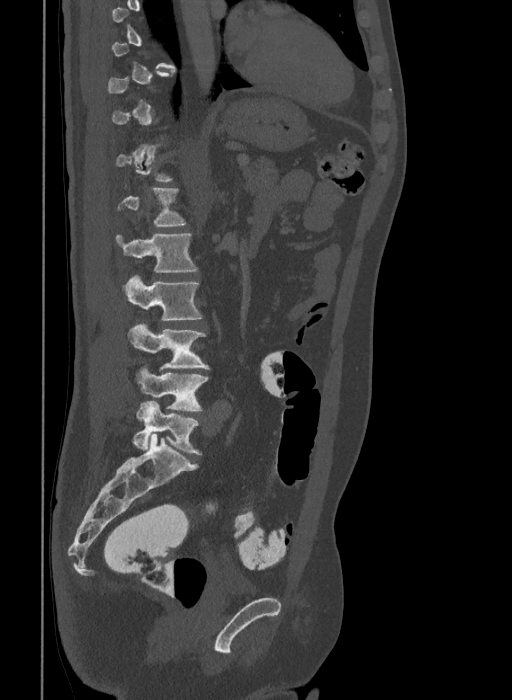
Spine CT · sagittal reformat · 512x700 px

Boxes are given in columns x1, y1, x2, y2, the pixel coordinates of their top-left and bottom-right corners.
Each vertebra is boxed only on the slices from the first to the last where its cross-section reaches a third of its largest, so a slice outside that range leaves it unboxed.
These labels give the spine a sixth lumbar vertebra, L6, below L5.
| vertebra | x1 | y1 | x2 | y2 |
|---|---|---|---|---|
| L1 | 118 | 188 | 187 | 227 |
| L2 | 116 | 233 | 198 | 272 |
| L3 | 123 | 275 | 202 | 320 |
| L4 | 128 | 323 | 209 | 370 |
| L5 | 135 | 367 | 208 | 411 |
| L6 | 132 | 400 | 202 | 454 |